CT, spine — sagittal view — bone window — 512x548 px
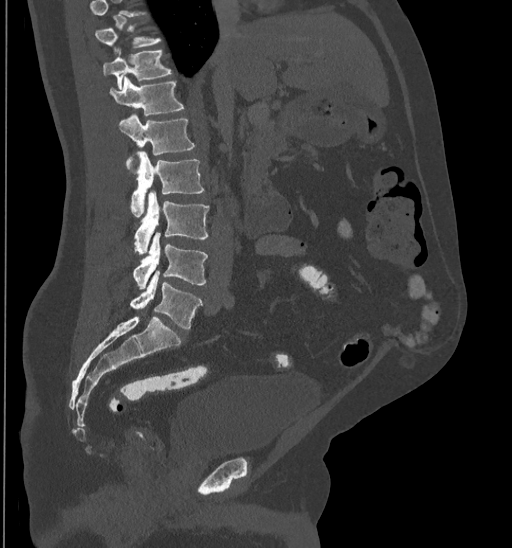
A vertebra gets a box only on the slices from the first to the last where its cross-section is at least a third of its largest; on a slice outside that range it gets none.
<vertebrae><v name="L5" x1="130" y1="271" x2="201" y2="330"/><v name="L4" x1="133" y1="232" x2="207" y2="289"/><v name="L3" x1="134" y1="191" x2="208" y2="253"/><v name="L2" x1="131" y1="151" x2="204" y2="216"/><v name="L1" x1="118" y1="114" x2="194" y2="171"/><v name="T12" x1="109" y1="76" x2="184" y2="116"/><v name="T11" x1="102" y1="50" x2="171" y2="89"/></vertebrae>